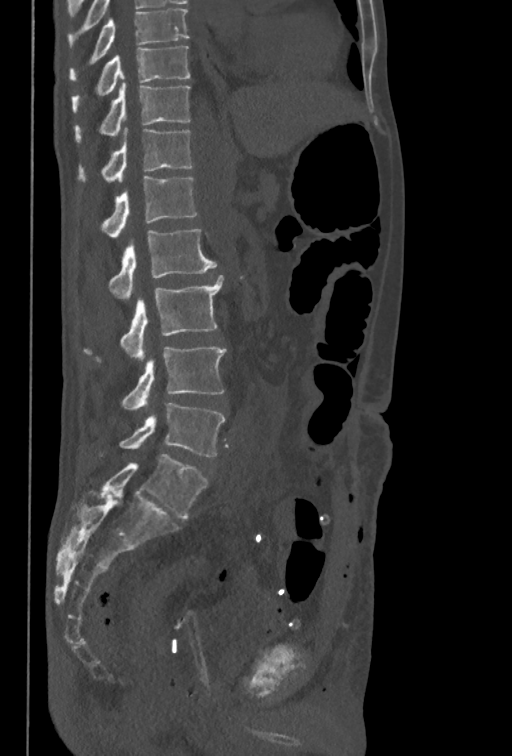 CT · sagittal reformat

Each vertebra maps to its box as [x1, y1, x2, y2], the pixel coordinates of its top-left and bottom-right corners.
This scan's labels start at T10 at the top and end at L5 at the bottom.
{"vertebrae":{"T10":[71,46,190,112],"T11":[74,82,190,143],"T12":[77,128,192,182],"L1":[101,176,198,237],"L2":[108,229,217,300],"L3":[84,275,223,361],"L4":[121,346,226,410],"L5":[98,403,226,457]}}